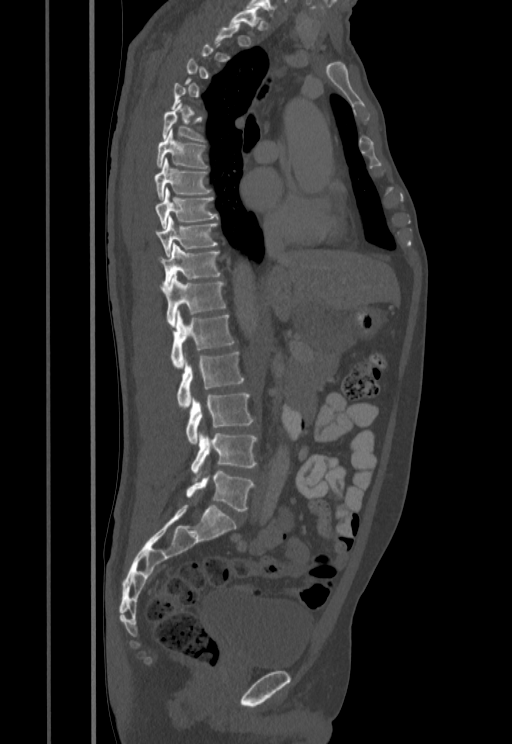 CT spine · sagittal view · W/L 1800/400 HU · 512x744 px · image 455 mm wide

Each box is [x1, y1, x2, y2] in pixels: top-left corner, then bottom-right corner.
A vertebra is boxed only from the first to the last slice where its cross-section is at least a third of its largest; slices outside that range leave it without a box.
{"vertebrae":{"T1":[230,8,261,26],"T6":[163,103,203,141],"T7":[156,129,207,168],"T8":[154,158,210,199],"T9":[155,188,217,228],"T10":[155,217,217,256],"T11":[159,243,219,287],"T12":[160,274,225,325],"L1":[170,311,233,369],"L2":[177,352,243,410],"L3":[186,392,253,445],"L4":[191,430,257,477],"L5":[187,471,253,511]}}